CT, spine. sagittal view. 512x677 px. 10 vertebrae labeled in this scan
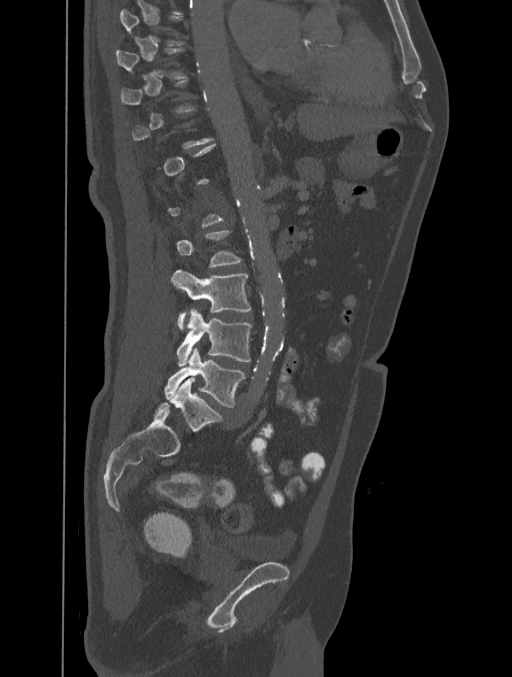
Boxes are given in columns x1, y1, x2, y2, the pixel coordinates of their top-left and bottom-right corners.
A vertebra is boxed only from the first to the last slice where its cross-section is at least a third of its largest; slices outside that range leave it without a box.
| vertebra | x1 | y1 | x2 | y2 |
|---|---|---|---|---|
| L5 | 165 | 347 | 245 | 407 |
| L4 | 176 | 309 | 252 | 366 |
| L3 | 171 | 270 | 250 | 329 |